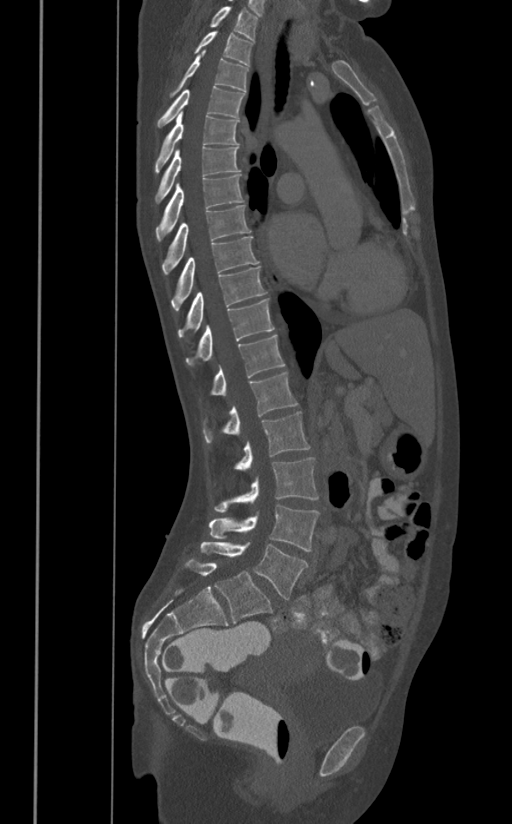 CT spine · sagittal view · 512x824 px · the image spans 391 mm across
Each box given as x1,y1,x2,y2. The labeled vertebrae in this slice are: T1 at x1=209, y1=6, x2=258, y2=41, T2 at x1=194, y1=31, x2=253, y2=65, T3 at x1=169, y1=51, x2=248, y2=97, T4 at x1=157, y1=86, x2=244, y2=126, T5 at x1=154, y1=112, x2=239, y2=172, T6 at x1=155, y1=146, x2=240, y2=203, T7 at x1=156, y1=174, x2=244, y2=241, T8 at x1=162, y1=204, x2=250, y2=274, T9 at x1=171, y1=236, x2=259, y2=310, T10 at x1=178, y1=266, x2=266, y2=337, T11 at x1=186, y1=298, x2=274, y2=366, T12 at x1=209, y1=334, x2=284, y2=395, L1 at x1=203, y1=372, x2=297, y2=442, L2 at x1=234, y1=411, x2=310, y2=470, L3 at x1=213, y1=457, x2=318, y2=512, L4 at x1=208, y1=504, x2=318, y2=551, L5 at x1=200, y1=542, x2=308, y2=599.